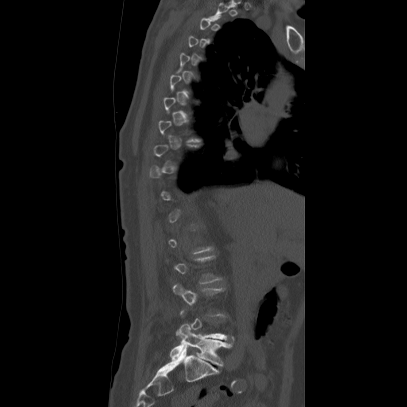

CT spine — sagittal view
Box edges are left/top/right/bottom in pixels. Each vertebra is boxed only on the slices from the first to the last where its cross-section reaches a third of its largest, so a slice outside that range leaves it unboxed. 3 vertebrae labeled — L5 at left=169, top=323, right=230, bottom=366; L3 at left=171, top=282, right=225, bottom=316; L2 at left=165, top=255, right=221, bottom=283.